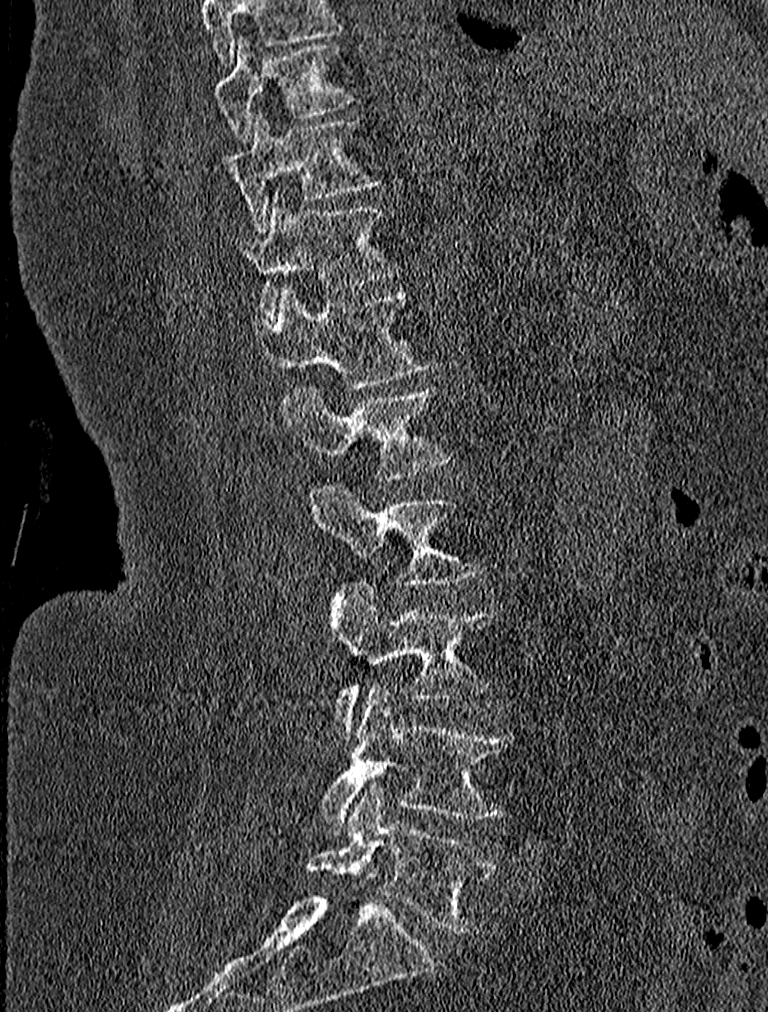
Computed tomography of the spine; sagittal view; bone-window reconstruction; 768x1012 px

Boxes: x1 y1 x2 y2 (pixel coords, space-separated). In this scan, the topmost labeled vertebra is T9 and the lowest is L5. Vertebrae labeled: T9 at 215 35 356 142, T10 at 225 111 380 232, T11 at 235 190 397 320, T12 at 260 288 438 389, L1 at 283 382 455 480, L2 at 310 481 482 587, L3 at 330 580 492 739, L4 at 320 685 514 833, L5 at 307 783 495 931.